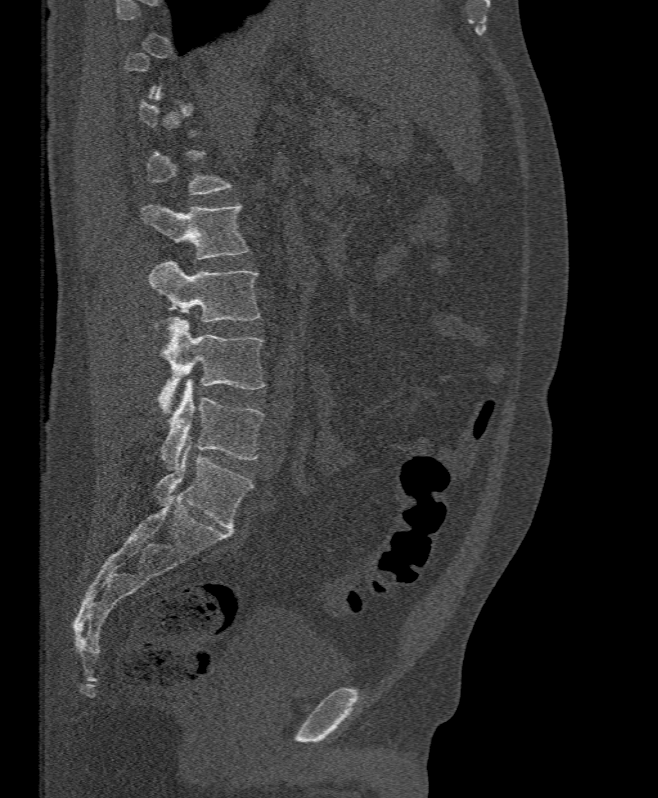 CT — sagittal view — 395 mm across the image — bone-window reconstruction — 658x798 px. Coordinates as <box>x1,y1,x2,y2</box>.
Not every vertebra on this slice has a box: a vertebra is boxed only from the first to the last slice where its cross-section is at least a third of its largest, and this slice is outside that range for at least one of them.
L2: <box>141,203,248,259</box>
L3: <box>148,260,260,322</box>
L4: <box>157,317,265,414</box>
L5: <box>159,380,264,469</box>